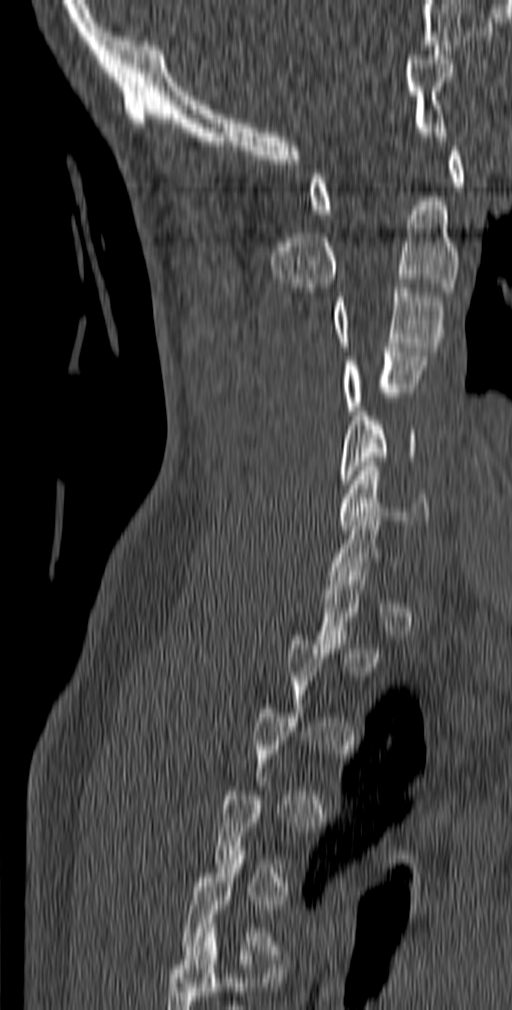

CT; sagittal view; bone window; 512x1010 px

Coordinates as <box>x1,y1,x2,y2</box>. A vertebra gets a box only on the slices from the first to the last where its cross-section is at least a third of its largest; on a slice outside that range it gets none. The labeled vertebrae in this slice are: C1 at <box>309,146,465,214</box>, C2 at <box>271,201,459,292</box>, C3 at <box>334,283,443,351</box>, C4 at <box>344,347,426,415</box>, C5 at <box>341,407,417,484</box>, C6 at <box>338,462,429,529</box>.